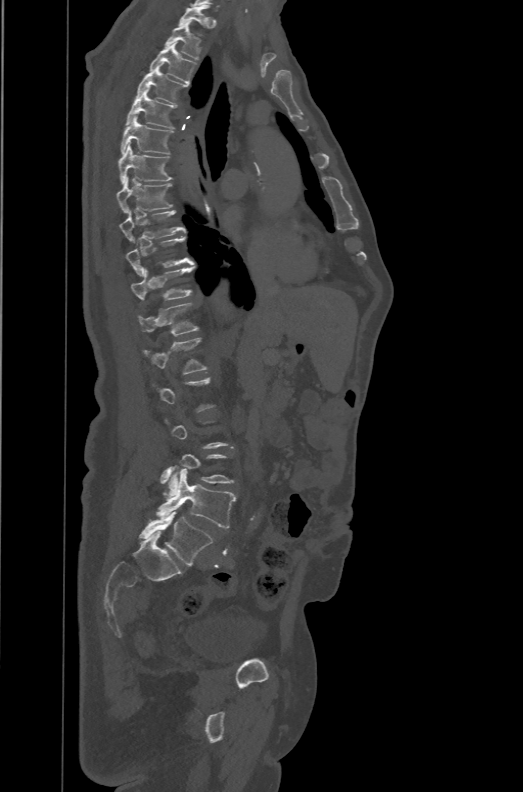 CT, spine — sagittal view — bone-window reconstruction — the image is 471 mm wide
Bounding boxes as [x1, y1, x2, y2] in pixel coordinates.
A vertebra gets a box only on the slices from the first to the last where its cross-section is at least a third of its largest; on a slice outside that range it gets none.
In these labels the spine has an L6, a sixth lumbar vertebra below L5.
Vertebra bounding boxes:
- T1: [178, 5, 210, 27]
- T2: [165, 23, 201, 59]
- T3: [149, 42, 196, 83]
- T4: [136, 67, 188, 104]
- T5: [125, 90, 177, 129]
- T6: [120, 115, 174, 154]
- T7: [118, 144, 173, 184]
- T8: [117, 177, 174, 212]
- T9: [120, 209, 186, 242]
- T10: [126, 236, 194, 276]
- T11: [131, 265, 195, 301]
- T12: [138, 302, 199, 335]
- L1: [142, 338, 208, 374]
- L5: [156, 465, 235, 528]
- L6: [139, 511, 214, 565]